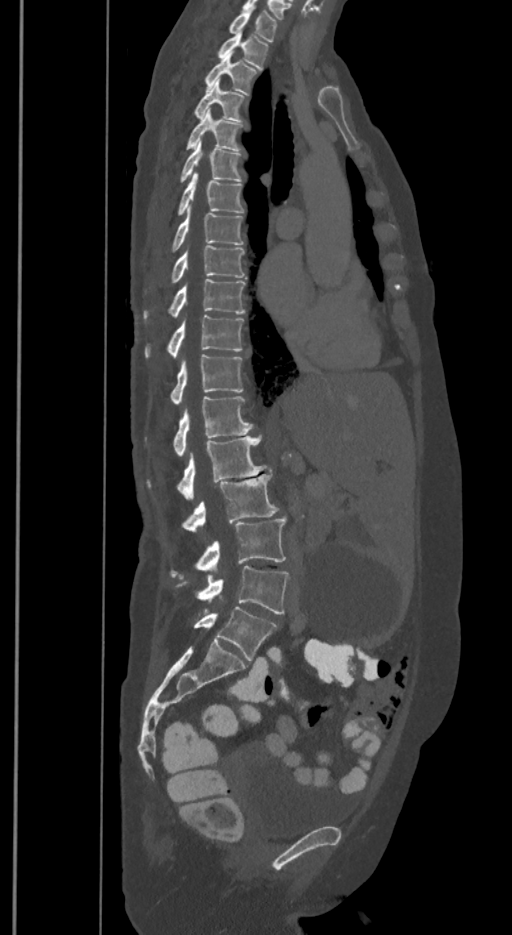 Spine computed tomography — sagittal view — 350 mm wide
Boxes below are [x1, y1, x2, y2] in pixels.
In these labels the spine has an L6, a sixth lumbar vertebra below L5.
{"vertebrae":{"T1":[228,11,277,41],"T2":[218,33,268,69],"T3":[205,53,256,92],"T4":[194,80,243,120],"T5":[186,109,242,150],"T6":[180,141,240,181],"T7":[178,172,243,216],"T8":[172,207,243,250],"T9":[171,246,245,283],"T10":[143,279,245,322],"T11":[145,315,243,357],"T12":[169,354,243,405],"L1":[172,396,253,456],"L2":[148,436,266,499],"L3":[181,474,278,532],"L4":[171,517,285,578],"L5":[178,566,288,614],"L6":[194,607,277,660]}}